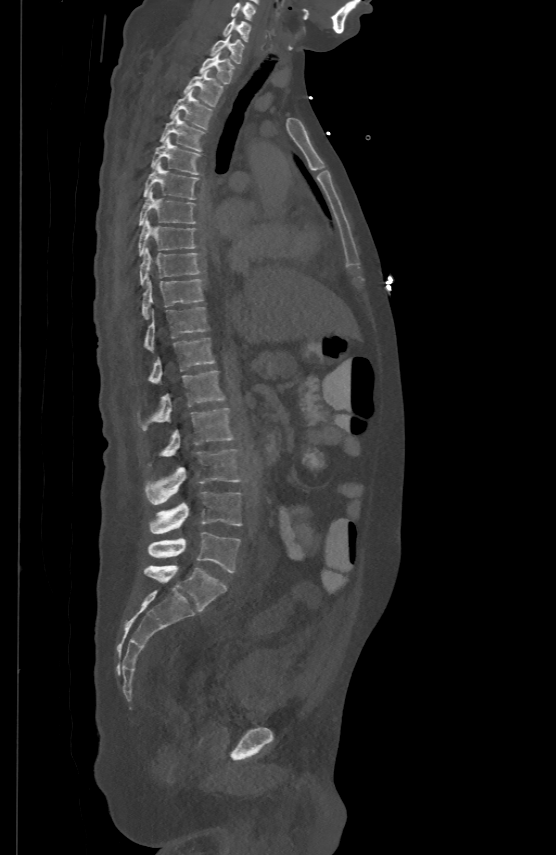
Computed tomography of the spine — sagittal reformat

<vertebrae><v name="L5" x1="148" y1="532" x2="240" y2="572"/><v name="L4" x1="149" y1="492" x2="242" y2="533"/><v name="L3" x1="145" y1="450" x2="239" y2="504"/><v name="L2" x1="162" y1="406" x2="232" y2="456"/><v name="L1" x1="143" y1="370" x2="225" y2="430"/><v name="T12" x1="149" y1="336" x2="215" y2="383"/><v name="T11" x1="144" y1="306" x2="207" y2="351"/><v name="T10" x1="142" y1="277" x2="203" y2="316"/><v name="T9" x1="140" y1="246" x2="199" y2="284"/><v name="T8" x1="139" y1="217" x2="194" y2="254"/><v name="T7" x1="139" y1="190" x2="194" y2="224"/><v name="T6" x1="143" y1="161" x2="198" y2="199"/><v name="T5" x1="151" y1="135" x2="199" y2="173"/><v name="T4" x1="160" y1="112" x2="203" y2="150"/><v name="T3" x1="170" y1="89" x2="212" y2="128"/><v name="T2" x1="184" y1="69" x2="223" y2="105"/><v name="T1" x1="199" y1="51" x2="233" y2="82"/><v name="C7" x1="211" y1="33" x2="243" y2="62"/><v name="C6" x1="224" y1="17" x2="250" y2="40"/><v name="C5" x1="231" y1="1" x2="256" y2="18"/></vertebrae>